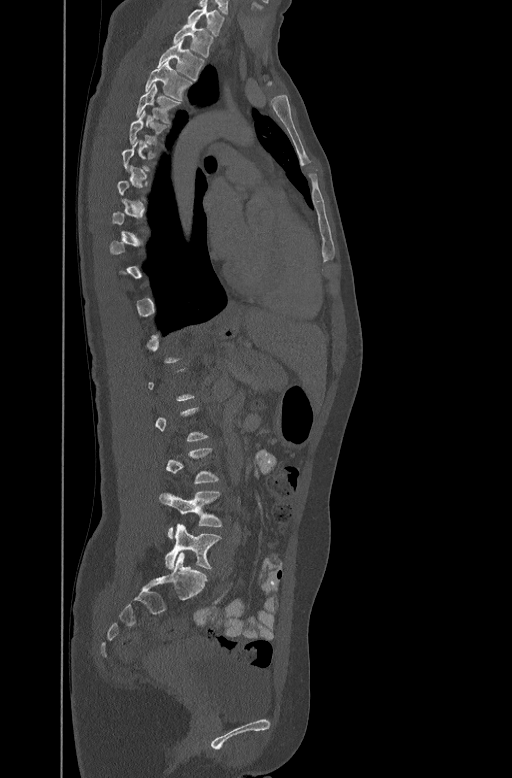
Spine computed tomography · sagittal view
Boxes: x1:y1:x2:y2 in pixels.
A vertebra gets a box only on the slices from the first to the last where its cross-section is at least a third of its largest; on a slice outside that range it gets none.
Vertebra bounding boxes:
- C7: 188:5:225:34
- T1: 173:23:213:57
- T2: 158:41:204:78
- T3: 144:60:193:99
- T4: 136:84:180:123
- T5: 129:110:168:145
- L4: 159:491:222:538
- L5: 165:524:221:569